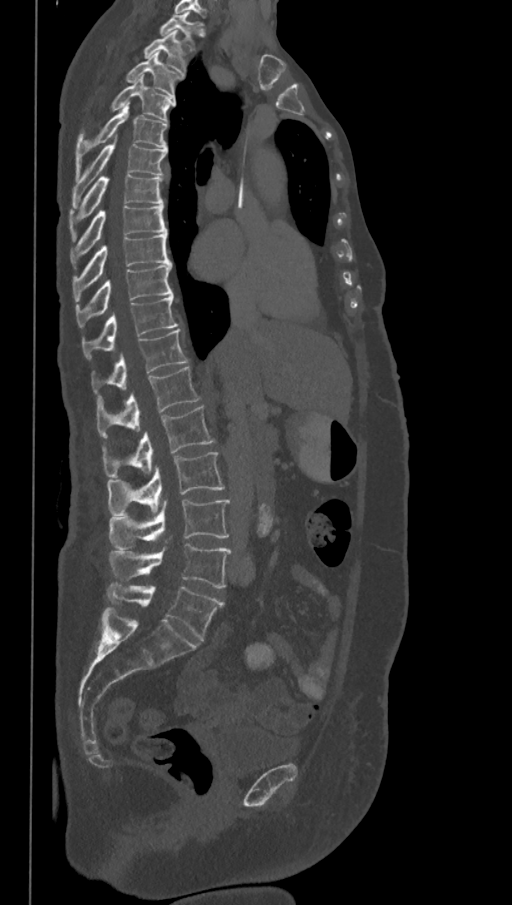

Spine computed tomography; sagittal reformat; 512x905 px
Bounding boxes as [x1, y1, x2, y2] in pixel coordinates.
The labels name a sixth lumbar vertebra for this spine: L6, after L5.
Vertebra bounding boxes:
- L6: [107, 582, 224, 640]
- L5: [110, 543, 231, 588]
- L4: [108, 500, 230, 551]
- L3: [107, 452, 224, 515]
- L2: [103, 406, 214, 477]
- L1: [97, 367, 201, 439]
- T12: [92, 329, 188, 400]
- T11: [82, 294, 178, 360]
- T10: [75, 264, 173, 327]
- T9: [72, 233, 171, 302]
- T8: [71, 205, 167, 264]
- T7: [69, 175, 163, 239]
- T6: [72, 144, 167, 207]
- T5: [76, 105, 167, 174]
- T4: [110, 76, 175, 122]
- T3: [125, 53, 184, 97]
- T2: [143, 30, 188, 73]
- T1: [158, 13, 201, 49]